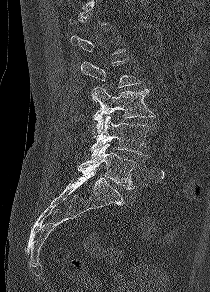

CT, spine; sagittal view; Bone window (WL 400, WW 1800); the image is 210 mm wide
Bounding boxes as [x1, y1, x2, y2] in pixel coordinates.
A vertebra gets a box only on the slices from the first to the last where its cross-section is at least a third of its largest; on a slice outside that range it gets none.
Vertebra bounding boxes:
- L3: [91, 87, 154, 132]
- L4: [91, 115, 150, 157]
- L5: [78, 143, 136, 189]